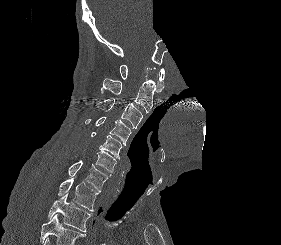
CT spine; image width 281 mm; sagittal view; 281x245 px; part of the scan has been removed (filled with constant black)

A vertebra cut off by the bottom edge of the scan is not labeled and has no box.
<vertebrae><v name="C1" x1="119" y1="65" x2="164" y2="92"/><v name="C2" x1="101" y1="78" x2="156" y2="113"/><v name="C3" x1="95" y1="98" x2="143" y2="128"/><v name="C4" x1="85" y1="117" x2="131" y2="145"/><v name="C5" x1="91" y1="132" x2="122" y2="159"/><v name="C6" x1="83" y1="150" x2="116" y2="176"/><v name="C7" x1="68" y1="160" x2="109" y2="192"/><v name="T1" x1="57" y1="178" x2="98" y2="211"/><v name="T2" x1="48" y1="193" x2="92" y2="232"/></vertebrae>